Computed tomography of the spine. sagittal plane, index 200. bone window. 13 vertebrae labeled in this scan
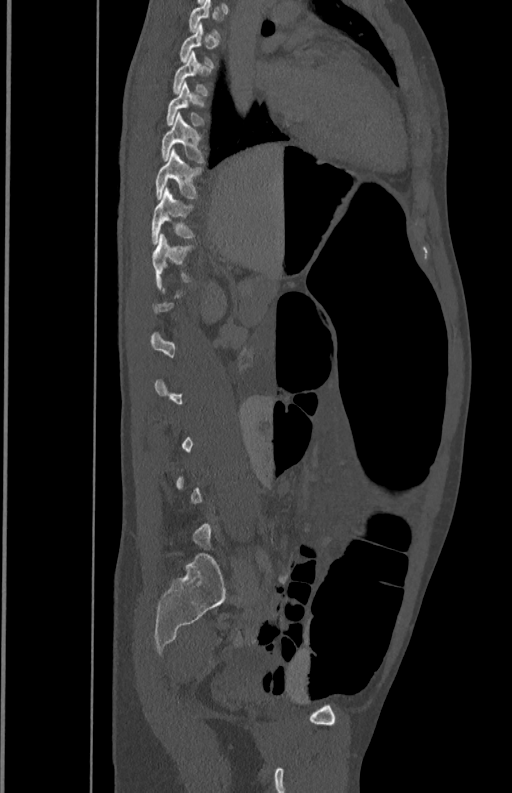 Not every vertebra on this slice has a box: a vertebra is boxed only from the first to the last slice where its cross-section is at least a third of its largest, and this slice is outside that range for at least one of them.
<vertebrae><v name="T7" x1="172" y1="51" x2="208" y2="95"/><v name="T8" x1="167" y1="82" x2="204" y2="124"/><v name="T9" x1="161" y1="113" x2="204" y2="162"/><v name="T10" x1="155" y1="149" x2="201" y2="199"/><v name="T11" x1="152" y1="188" x2="193" y2="243"/></vertebrae>